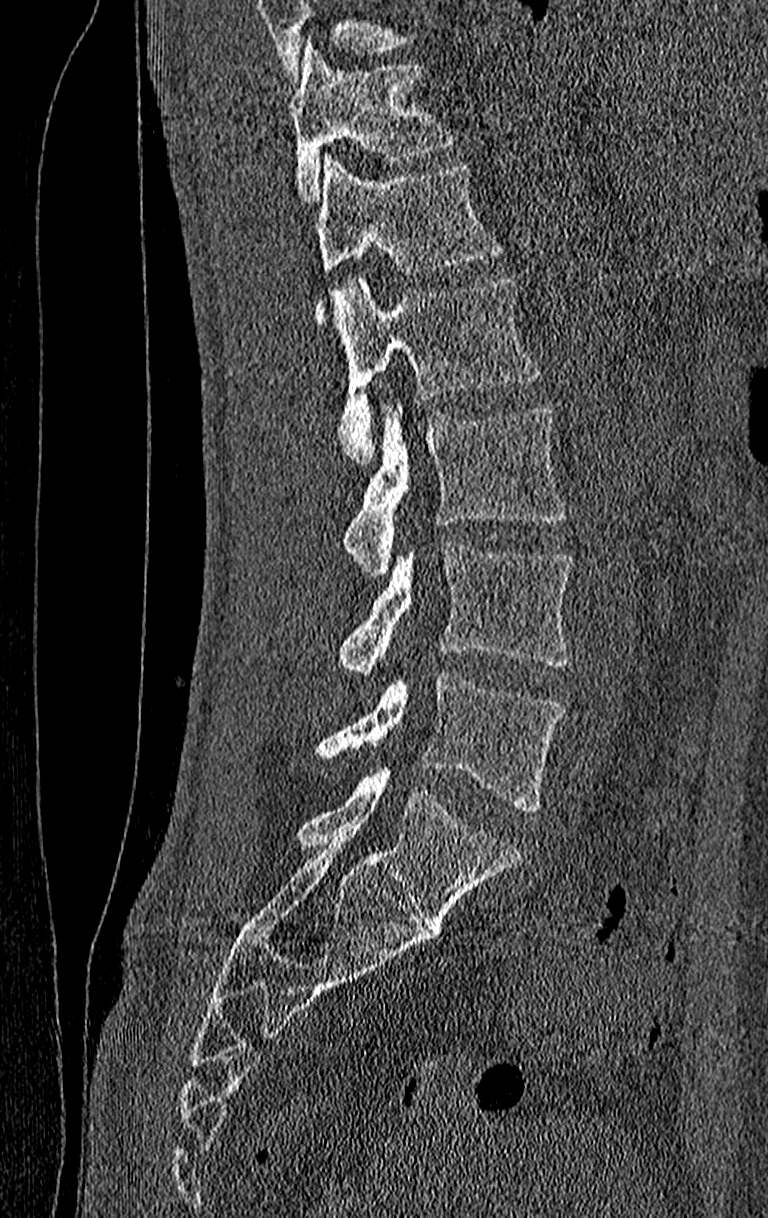
Computed tomography of the spine. 210 mm wide. sagittal view. 768x1218 px

Boxes: x1 y1 x2 y2 (pixel coords, space-separated). Where the top of the scan cuts through a vertebra, that vertebra gets no label or box. In this scan, the topmost labeled vertebra is T11 and the lowest is L4. The labeled vertebrae in this slice are: T11 at 288 44 458 201, T12 at 313 155 502 325, L1 at 335 275 539 465, L2 at 342 406 565 573, L3 at 339 546 572 677, L4 at 317 673 565 812.